Spine computed tomography · sagittal plane, index 227 · Bone window (WL 400, WW 1800)
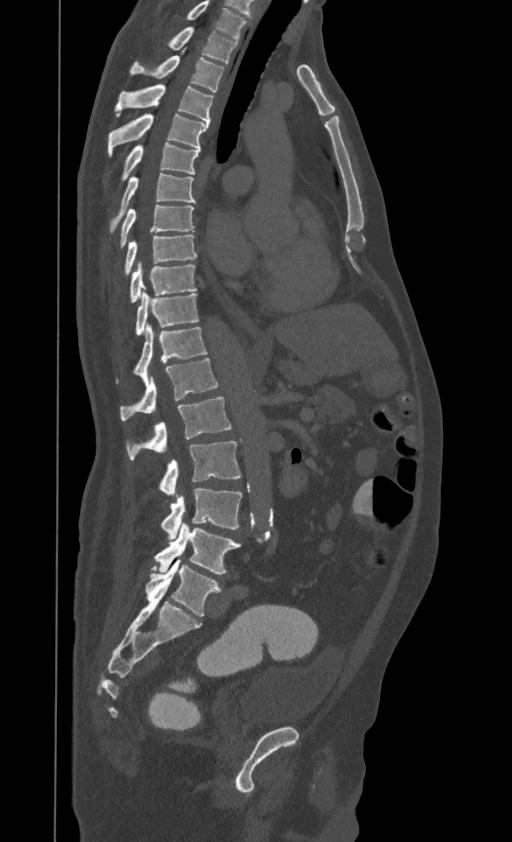

Labels in this scan begin with T1 at the top and end with L4 at the bottom.
<vertebrae><v name="T1" x1="168" y1="27" x2="237" y2="63"/><v name="T2" x1="131" y1="50" x2="223" y2="92"/><v name="T3" x1="115" y1="84" x2="213" y2="124"/><v name="T4" x1="107" y1="114" x2="208" y2="155"/><v name="T5" x1="120" y1="142" x2="200" y2="180"/><v name="T6" x1="110" y1="173" x2="195" y2="232"/><v name="T7" x1="119" y1="204" x2="195" y2="247"/><v name="T8" x1="124" y1="234" x2="197" y2="275"/><v name="T9" x1="129" y1="262" x2="196" y2="302"/><v name="T10" x1="136" y1="292" x2="198" y2="336"/><v name="T11" x1="117" y1="324" x2="206" y2="383"/><v name="T12" x1="120" y1="358" x2="218" y2="420"/><v name="L1" x1="127" y1="397" x2="231" y2="459"/><v name="L2" x1="158" y1="441" x2="241" y2="494"/><v name="L3" x1="161" y1="489" x2="241" y2="539"/><v name="L4" x1="154" y1="523" x2="240" y2="574"/></vertebrae>